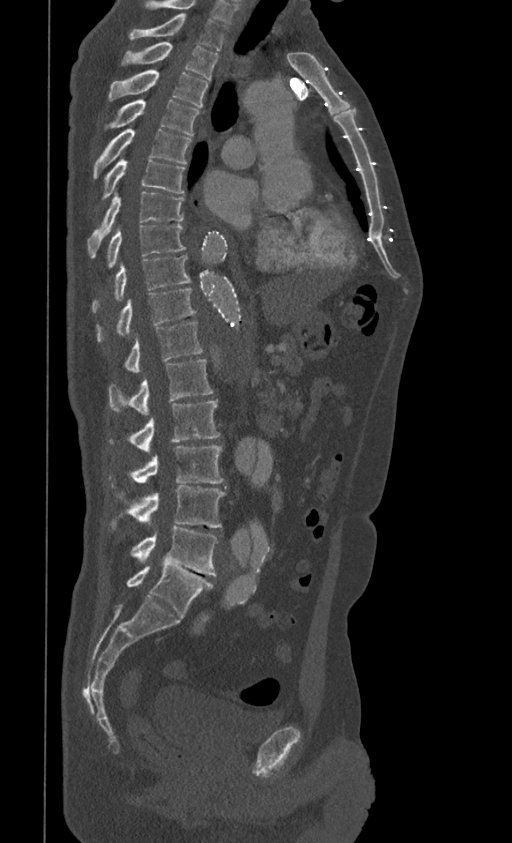

CT spine — sagittal view — image 399 mm wide — 512x843 px
Labels in this scan begin with T1 at the top and end with L5 at the bottom.
<vertebrae><v name="L5" x1="127" y1="565" x2="213" y2="616"/><v name="L4" x1="131" y1="527" x2="218" y2="576"/><v name="L3" x1="110" y1="485" x2="225" y2="528"/><v name="L2" x1="108" y1="446" x2="223" y2="488"/><v name="L1" x1="109" y1="401" x2="221" y2="451"/><v name="T12" x1="109" y1="359" x2="213" y2="414"/><v name="T11" x1="123" y1="322" x2="203" y2="371"/><v name="T10" x1="96" y1="288" x2="195" y2="342"/><v name="T9" x1="91" y1="255" x2="190" y2="313"/><v name="T8" x1="105" y1="224" x2="185" y2="267"/><v name="T7" x1="87" y1="192" x2="184" y2="257"/><v name="T6" x1="96" y1="157" x2="185" y2="209"/><v name="T5" x1="94" y1="128" x2="191" y2="179"/><v name="T4" x1="104" y1="99" x2="199" y2="135"/><v name="T3" x1="108" y1="70" x2="208" y2="106"/><v name="T2" x1="120" y1="42" x2="219" y2="80"/><v name="T1" x1="129" y1="13" x2="227" y2="50"/></vertebrae>